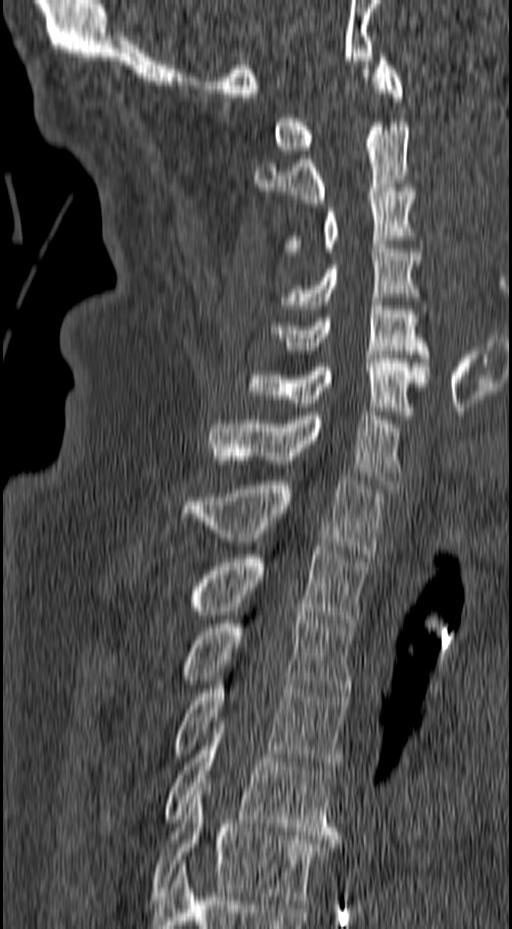 Spine CT; sagittal reformat; 512x929 px

Boxes: x1:y1:x2:y2 in pixels.
Vertebra bounding boxes:
- C1: 274:53:403:154
- C2: 253:122:410:203
- C3: 282:188:423:256
- C4: 278:241:423:309
- C5: 269:302:429:358
- C6: 246:355:430:419
- C7: 207:412:401:488
- T1: 182:477:385:557
- T2: 187:546:365:627
- T3: 180:611:352:696
- T4: 174:677:349:769
- T5: 164:726:339:839
- T6: 151:787:339:904